Spine computed tomography. sagittal reformat. W/L 1800/400 HU. 12 vertebrae labeled in this scan
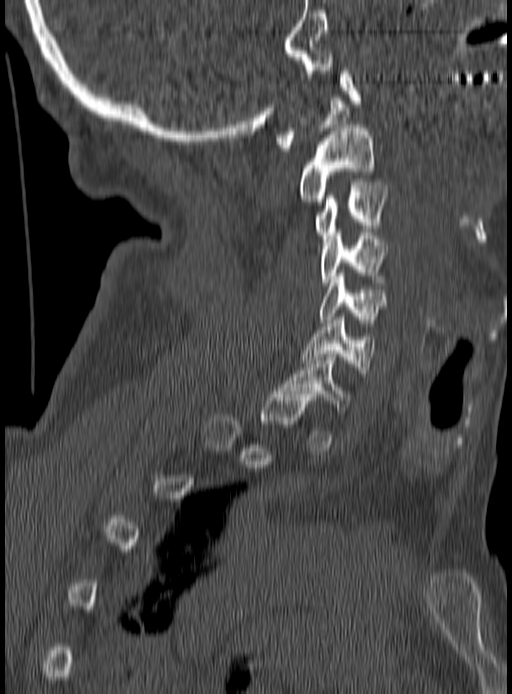

Not every vertebra on this slice has a box: a vertebra is boxed only from the first to the last slice where its cross-section is at least a third of its largest, and this slice is outside that range for at least one of them.
<vertebrae><v name="C7" x1="279" y1="354" x2="350" y2="413"/><v name="C6" x1="303" y1="317" x2="374" y2="376"/><v name="C5" x1="319" y1="276" x2="385" y2="326"/><v name="C4" x1="322" y1="232" x2="387" y2="285"/><v name="C3" x1="313" y1="182" x2="388" y2="242"/><v name="C2" x1="300" y1="128" x2="374" y2="201"/><v name="C1" x1="276" y1="67" x2="361" y2="151"/></vertebrae>